Spine computed tomography; 398 mm across the image; sagittal view; 512x513 px
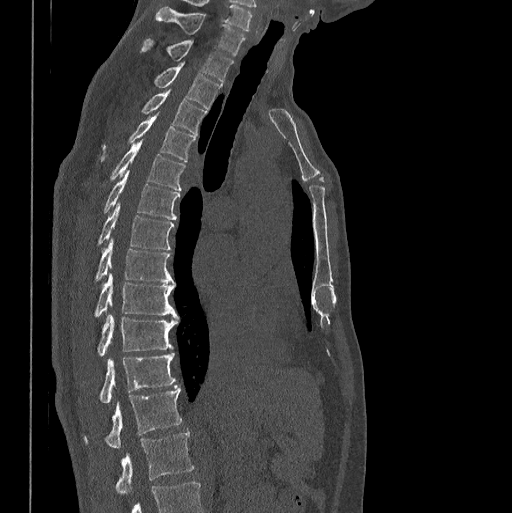 Each box given as x1,y1,x2,y2. This scan's labels start at C7 at the top and end at L1 at the bottom. 14 vertebrae labeled — L1 at x1=114, y1=431, x2=193, y2=493; T12 at x1=83, y1=386, x2=182, y2=447; T11 at x1=78, y1=353, x2=175, y2=403; T10 at x1=98, y1=314, x2=178, y2=357; T9 at x1=94, y1=273, x2=178, y2=317; T8 at x1=94, y1=239, x2=173, y2=283; T7 at x1=98, y1=203, x2=174, y2=249; T6 at x1=103, y1=170, x2=180, y2=220; T5 at x1=109, y1=141, x2=185, y2=190; T4 at x1=100, y1=115, x2=196, y2=162; T3 at x1=140, y1=88, x2=206, y2=134; T2 at x1=153, y1=64, x2=221, y2=108; T1 at x1=140, y1=38, x2=233, y2=81; C7 at x1=156, y1=7, x2=245, y2=56.